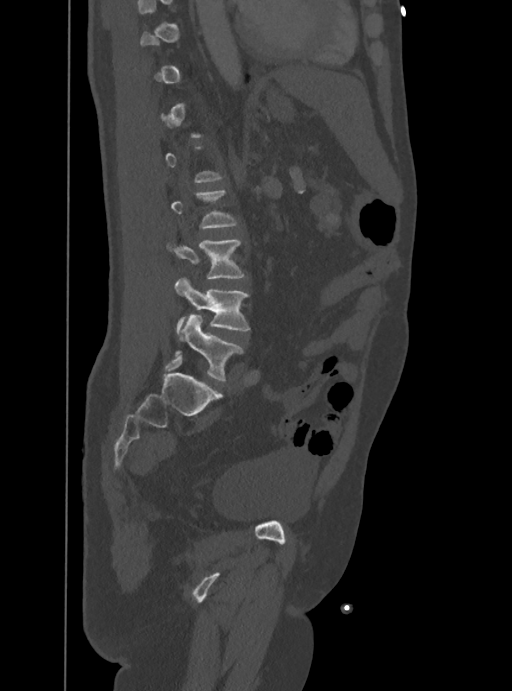 CT, spine; sagittal reformat; bone window; 388 mm across the image

Each row gives a vertebra's box as x1, y1, x2, y2 in pixels: top-left corner, then bottom-right corner.
Not every vertebra on this slice has a box: a vertebra is boxed only from the first to the last slice where its cross-section is at least a third of its largest, and this slice is outside that range for at least one of them.
| vertebra | x1 | y1 | x2 | y2 |
|---|---|---|---|---|
| L5 | 175 | 314 | 242 | 380 |
| L4 | 175 | 278 | 250 | 332 |
| L3 | 174 | 240 | 244 | 278 |